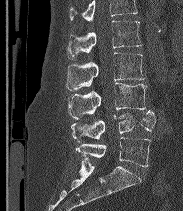 Spine CT — 183 mm across the image — sagittal view — bone window
Where the top of the scan cuts through a vertebra, that vertebra gets no label or box.
These labels give the spine a sixth lumbar vertebra, L6, below L5.
<vertebrae><v name="L2" x1="68" y1="21" x2="142" y2="58"/><v name="L3" x1="66" y1="52" x2="145" y2="90"/><v name="L4" x1="68" y1="83" x2="146" y2="119"/><v name="L5" x1="71" y1="110" x2="155" y2="142"/><v name="L6" x1="76" y1="137" x2="150" y2="166"/></vertebrae>